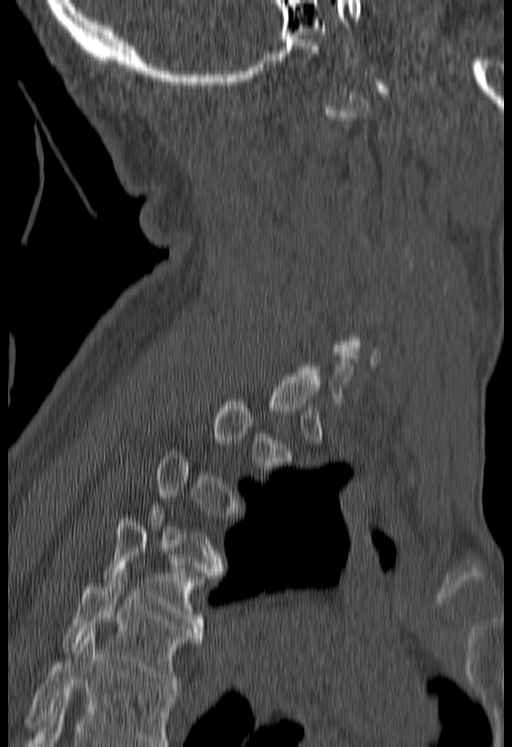 Spine computed tomography. sagittal reformat. Bone window (WL 400, WW 1800). 512x747 px. 180 mm image width

Coordinates as <box>x1,y1,x2,y2</box>.
Each vertebra is boxed only on the slices from the first to the last where its cross-section reaches a third of its largest, so a slice outside that range leaves it unboxed.
Vertebrae that run past the bottom of the scan are left unlabeled.
Vertebra bounding boxes:
- T4: <box>104,516,205,635</box>
- T5: <box>63,569,202,689</box>